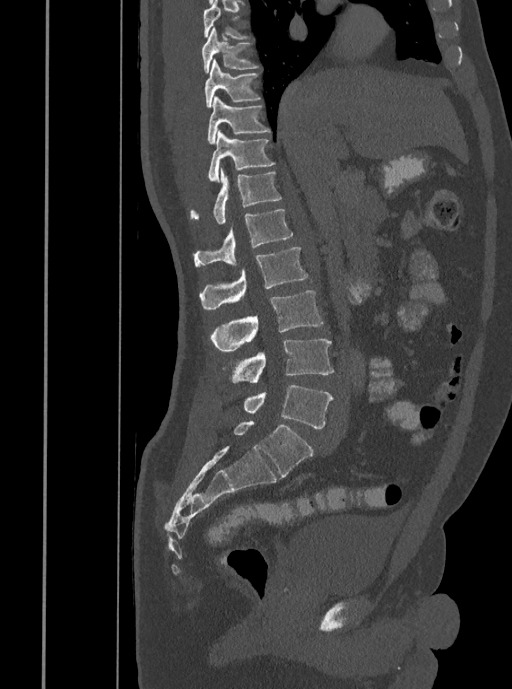

CT — sagittal reformat — bone window — 512x689 px — 408 mm image width
Boxes below are [x1, y1, x2, y2] in pixels.
{"vertebrae":{"T7":[203,0,250,40],"T8":[202,26,260,72],"T9":[204,59,261,107],"T10":[207,96,270,144],"T11":[207,131,275,183],"T12":[189,168,281,224],"L1":[192,209,293,267],"L2":[199,247,308,310],"L3":[211,290,323,351],"L4":[231,339,334,383],"L5":[243,385,333,428]}}